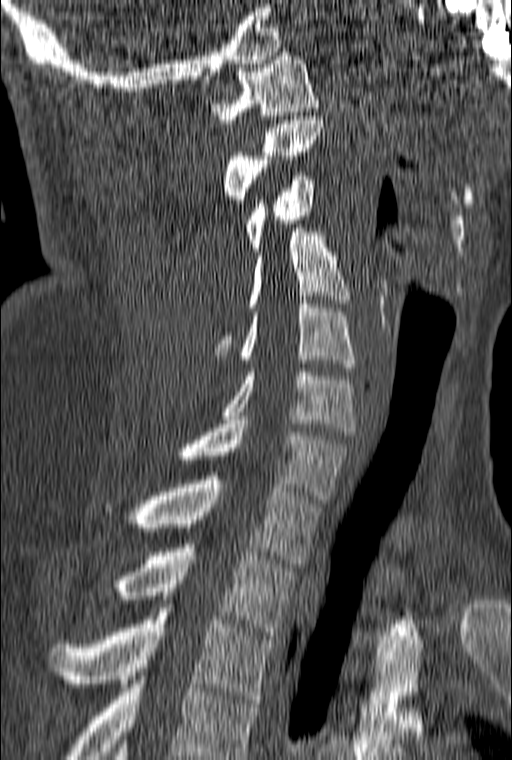
CT. sagittal view. bone-window reconstruction
Box edges are left/top/right/bottom in pixels.
This scan's labels start at C1 at the top and end at T3 at the bottom.
| vertebra | x1 | y1 | x2 | y2 |
|---|---|---|---|---|
| C1 | 209 | 52 | 319 | 123 |
| C2 | 223 | 116 | 323 | 207 |
| C3 | 246 | 176 | 316 | 251 |
| C4 | 214 | 228 | 349 | 355 |
| C5 | 240 | 300 | 355 | 371 |
| C6 | 223 | 368 | 355 | 435 |
| C7 | 184 | 420 | 349 | 503 |
| T1 | 104 | 472 | 320 | 563 |
| T2 | 116 | 544 | 295 | 635 |
| T3 | 49 | 604 | 275 | 703 |